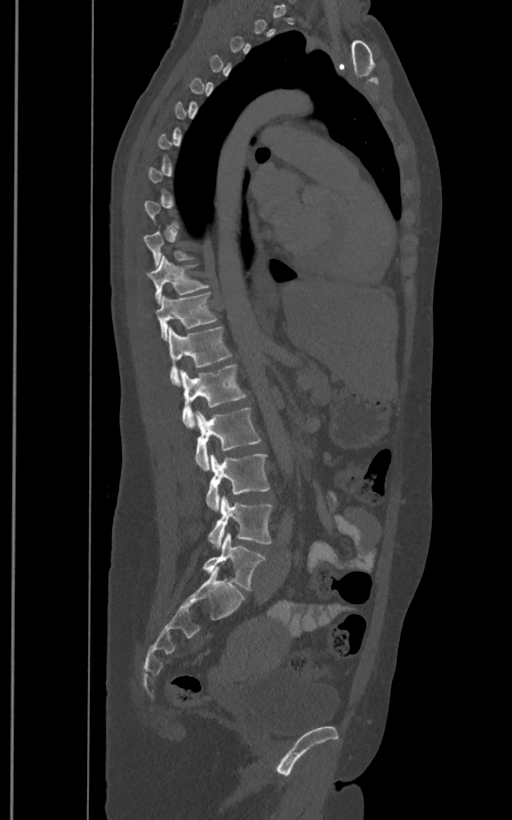

Spine computed tomography — sagittal view — Bone window (WL 400, WW 1800)

Each row gives a vertebra's box as x1, y1, x2, y2 in pixels: top-left corner, then bottom-right corner.
A vertebra gets a box only on the slices from the first to the last where its cross-section is at least a third of its largest; on a slice outside that range it gets none.
In these labels the spine has an L6, a sixth lumbar vertebra below L5.
| vertebra | x1 | y1 | x2 | y2 |
|---|---|---|---|---|
| T11 | 146 | 255 | 209 | 303 |
| T12 | 155 | 293 | 218 | 339 |
| L1 | 168 | 326 | 232 | 384 |
| L2 | 180 | 365 | 246 | 428 |
| L3 | 194 | 407 | 261 | 470 |
| L4 | 206 | 454 | 269 | 510 |
| L5 | 208 | 495 | 273 | 549 |
| L6 | 202 | 532 | 265 | 590 |